Spine computed tomography — sagittal view — bone-window reconstruction — 768x1012 px
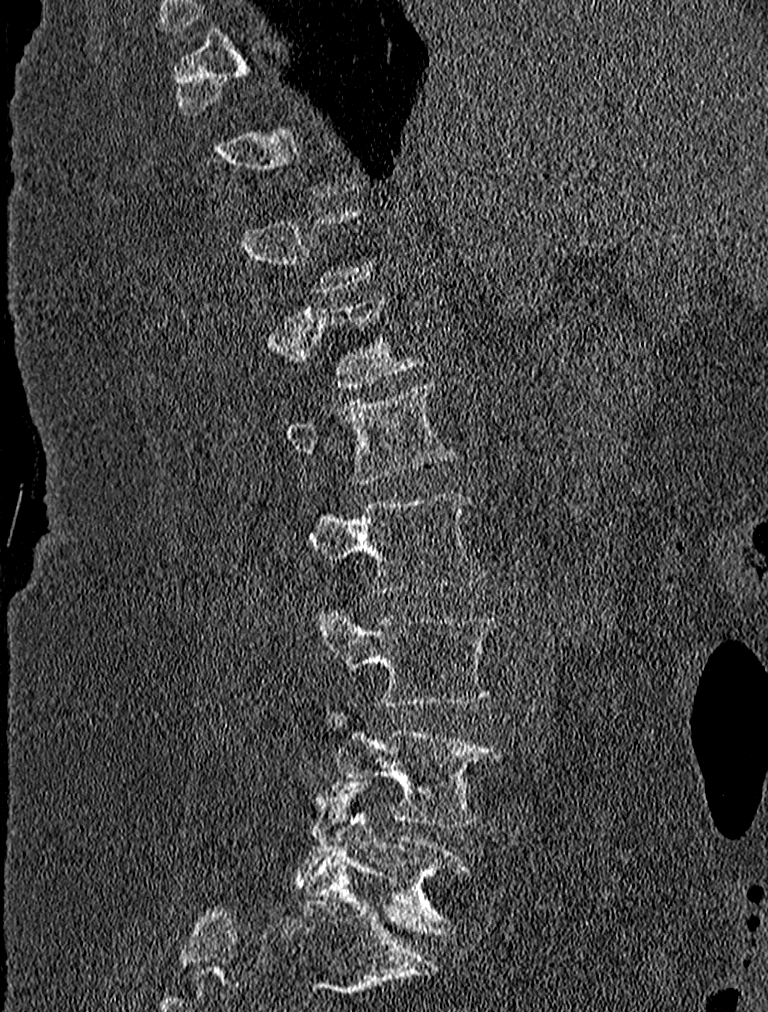
Each box is [x1, y1, x2, y2] in pixels: top-left corner, then bottom-right corner.
Each vertebra is boxed only on the slices from the first to the last where its cross-section reaches a third of its largest, so a slice outside that range leaves it unboxed.
{"vertebrae":{"L1":[286,382,451,483],"L2":[307,495,482,593],"L3":[308,601,495,708],"L4":[337,729,501,826],"L5":[297,778,468,934]}}